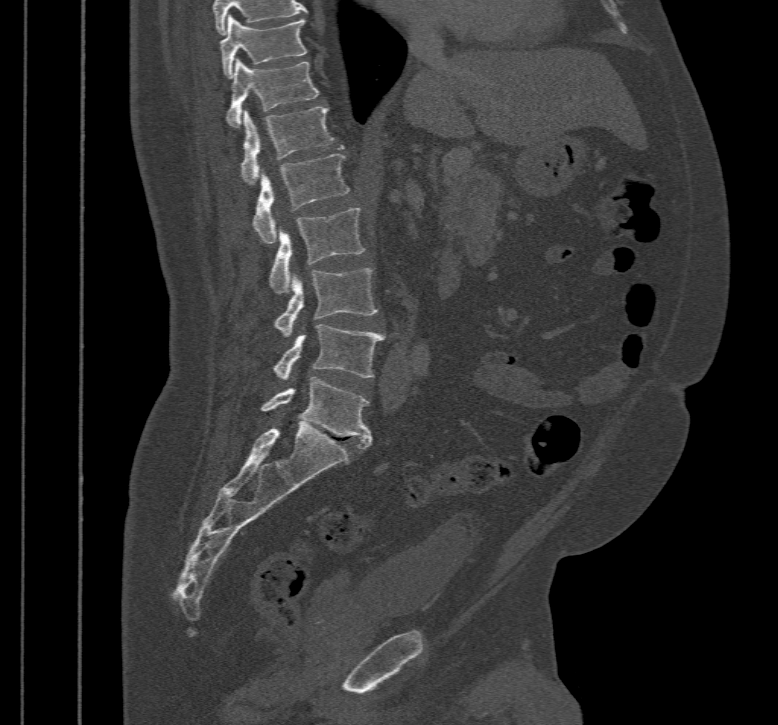
CT spine. sagittal view. bone window
Coordinates as <box>x1,y1,x2,y2</box>.
T10: <box>220,15,308,78</box>
T11: <box>227,58,318,128</box>
T12: <box>240,107,333,184</box>
L1: <box>254,153,349,243</box>
L2: <box>268,209,364,294</box>
L3: <box>275,268,378,336</box>
L4: <box>272,324,385,379</box>
L5: <box>260,377,371,448</box>